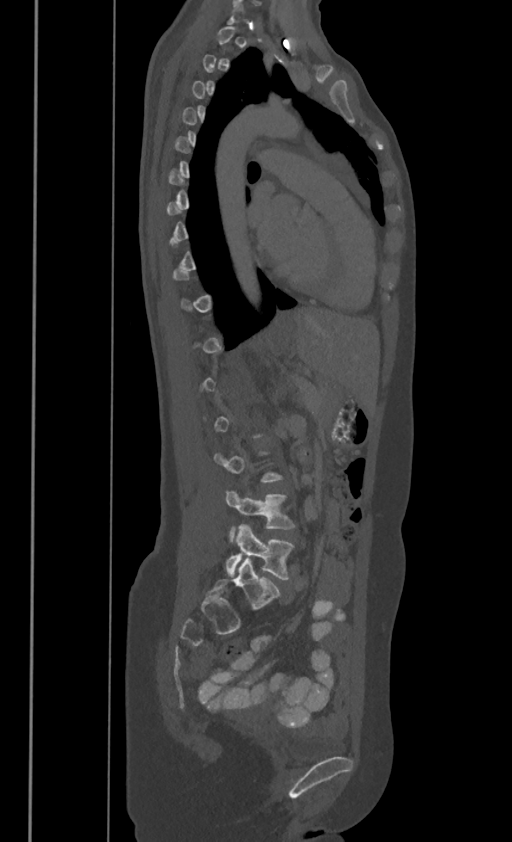

Spine computed tomography — sagittal view — image 386 mm wide

Box edges are left/top/right/bottom in pixels.
A vertebra gets a box only on the slices from the first to the last where its cross-section is at least a third of its largest; on a slice outside that range it gets none.
| vertebra | x1 | y1 | x2 | y2 |
|---|---|---|---|---|
| L4 | 225 | 492 | 293 | 540 |
| L5 | 225 | 525 | 293 | 579 |